Computed tomography of the spine · Sagittal slice 206/512 · bone window · 16 vertebrae labeled in this scan
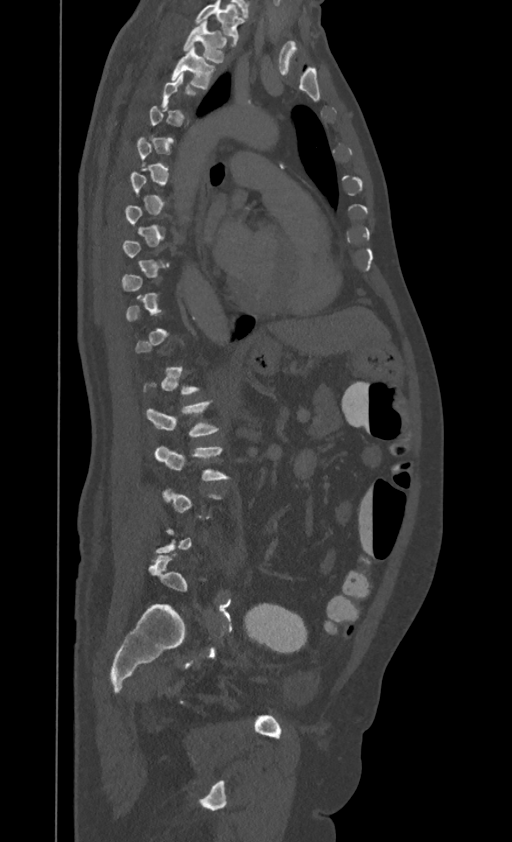

Each box given as x1,y1,x2,y2.
Not every vertebra on this slice has a box: a vertebra is boxed only from the first to the last slice where its cross-section is at least a third of its largest, and this slice is outside that range for at least one of them.
Labels in this scan begin with T1 at the top and end with L4 at the bottom.
Vertebra bounding boxes:
- T1: x1=183, y1=21, x2=226, y2=62
- T2: x1=171, y1=47, x2=215, y2=90
- L1: x1=146, y1=400, x2=218, y2=436
- L2: x1=154, y1=446, x2=228, y2=481